CT, spine. sagittal plane, index 279. Bone window (WL 400, WW 1800). 11 vertebrae labeled in this scan
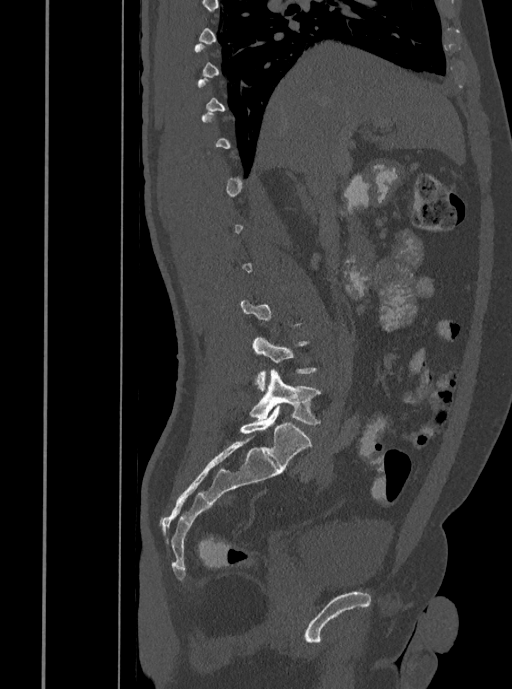

Each box is [x1, y1, x2, y2] in pixels: top-left corner, then bottom-right corner.
Not every vertebra on this slice has a box: a vertebra is boxed only from the first to the last slice where its cross-section is at least a third of its largest, and this slice is outside that range for at least one of them.
{"vertebrae":{"L4":[252,337,316,391],"L5":[250,369,321,425]}}